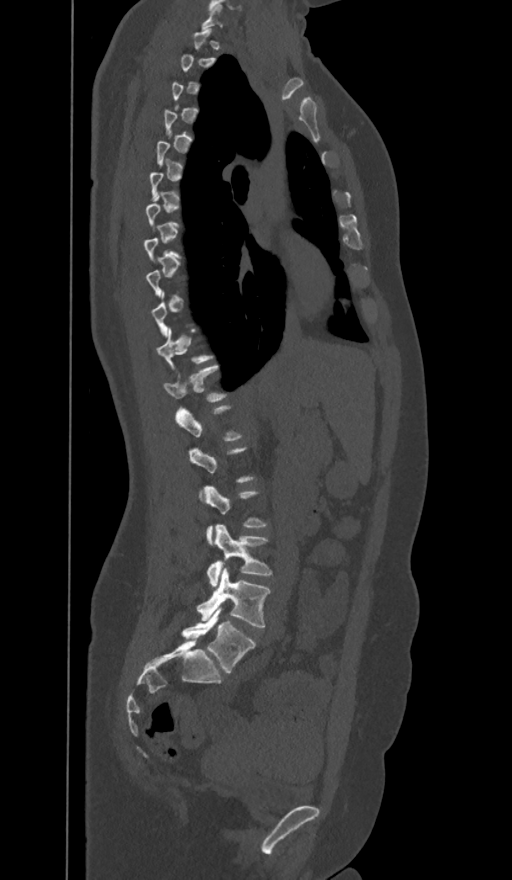
CT; sagittal view; Bone window (WL 400, WW 1800); image 374 mm wide
Boxes are given in columns x1, y1, x2, y2, the pixel coordinates of their top-left and bottom-right corners.
A vertebra gets a box only on the slices from the first to the last where its cross-section is at least a third of its largest; on a slice outside that range it gets none.
In these labels the spine has an L6, a sixth lumbar vertebra below L5.
| vertebra | x1 | y1 | x2 | y2 |
|---|---|---|---|---|
| L6 | 181 | 607 | 255 | 673 |
| L5 | 197 | 568 | 270 | 627 |
| L4 | 207 | 524 | 273 | 587 |
| T12 | 164 | 365 | 227 | 413 |
| T11 | 157 | 327 | 214 | 369 |
| C7 | 201 | 2 | 222 | 29 |